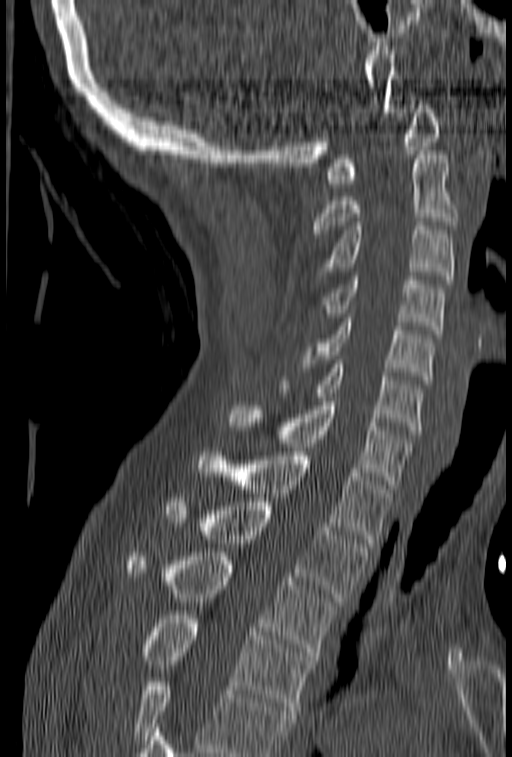
CT · sagittal view · W/L 1800/400 HU · the image spans 153 mm across · 512x757 px
Columns x1, y1, x2, y2 give each box's top-left and bottom-right pixels.
Where the bottom of the scan cuts through a vertebra, that vertebra gets no label or box.
| vertebra | x1 | y1 | x2 | y2 |
|---|---|---|---|---|
| C1 | 326 | 96 | 441 | 187 |
| C2 | 312 | 151 | 459 | 233 |
| C3 | 319 | 222 | 454 | 279 |
| C4 | 322 | 276 | 445 | 334 |
| C5 | 303 | 314 | 435 | 380 |
| C6 | 278 | 360 | 423 | 434 |
| C7 | 229 | 397 | 412 | 488 |
| T1 | 198 | 452 | 392 | 547 |
| T2 | 166 | 502 | 368 | 601 |
| T3 | 127 | 552 | 338 | 660 |
| T4 | 142 | 615 | 315 | 710 |